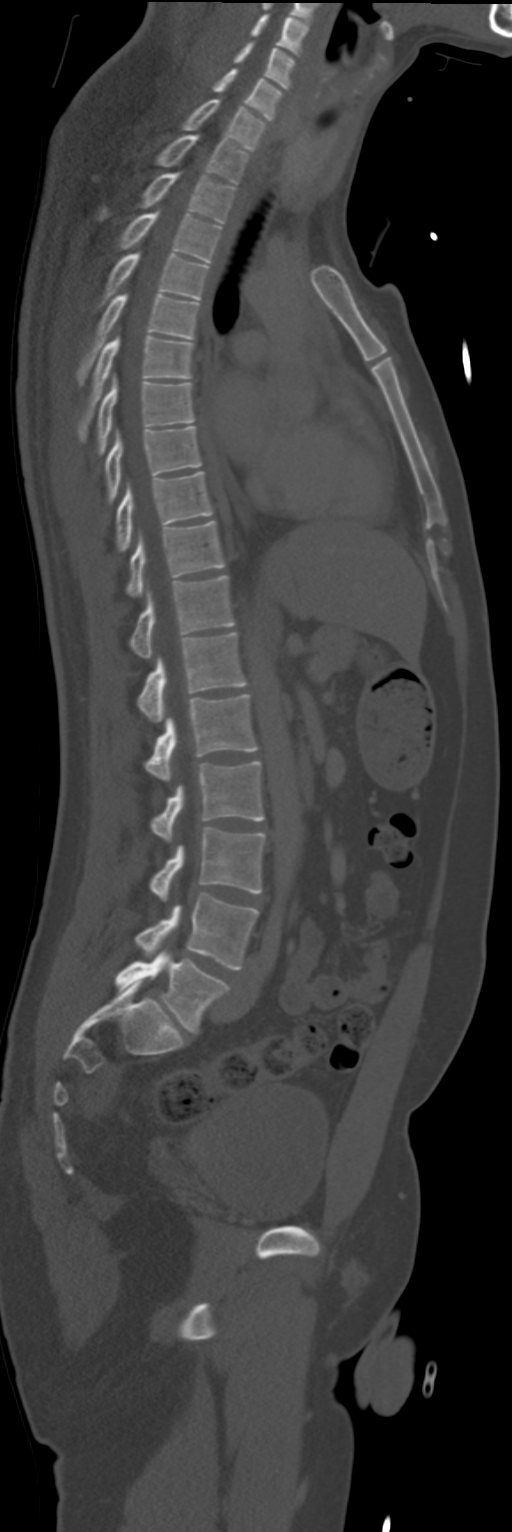

CT, spine. sagittal view. Box edges are left/top/right/bottom in pixels.
| vertebra | x1 | y1 | x2 | y2 |
|---|---|---|---|---|
| C4 | 251 | 14 | 309 | 55 |
| C5 | 234 | 42 | 294 | 89 |
| C6 | 213 | 69 | 282 | 120 |
| C7 | 182 | 100 | 265 | 150 |
| T1 | 156 | 134 | 248 | 183 |
| T2 | 100 | 172 | 234 | 223 |
| T3 | 119 | 212 | 221 | 263 |
| T4 | 104 | 253 | 208 | 299 |
| T5 | 76 | 294 | 198 | 385 |
| T6 | 79 | 335 | 192 | 441 |
| T7 | 98 | 373 | 194 | 454 |
| T8 | 106 | 426 | 200 | 502 |
| T9 | 115 | 472 | 212 | 552 |
| T10 | 127 | 520 | 225 | 595 |
| T11 | 130 | 575 | 234 | 658 |
| T12 | 138 | 633 | 246 | 722 |
| L1 | 146 | 694 | 257 | 781 |
| L2 | 151 | 761 | 263 | 842 |
| L3 | 149 | 828 | 265 | 899 |
| L4 | 136 | 893 | 259 | 970 |
| L5 | 115 | 952 | 227 | 1033 |